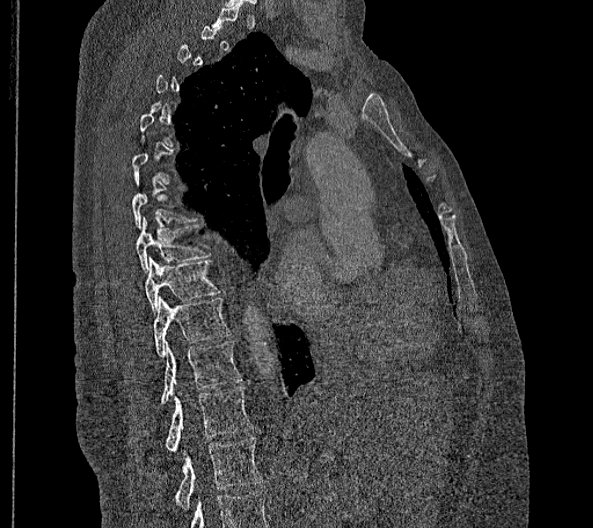 Spine computed tomography; sagittal view
A vertebra gets a box only on the slices from the first to the last where its cross-section is at least a third of its largest; on a slice outside that range it gets none.
Labels in this scan begin with T2 at the top and end with L2 at the bottom.
These labels give this spine no T12: after T11 the next vertebra is L1.
<vertebrae><v name="T8" x1="137" y1="216" x2="209" y2="273"/><v name="T9" x1="145" y1="257" x2="220" y2="314"/><v name="T10" x1="153" y1="296" x2="231" y2="357"/><v name="T11" x1="160" y1="341" x2="242" y2="404"/><v name="L1" x1="166" y1="387" x2="252" y2="452"/><v name="L2" x1="175" y1="437" x2="262" y2="509"/></vertebrae>